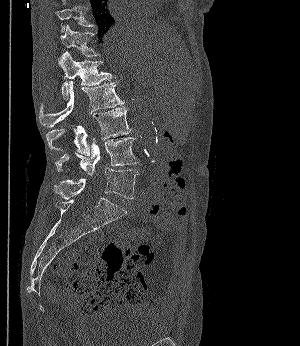
Spine computed tomography — sagittal view
Box edges are left/top/right/bottom in pixels. The labeled vertebrae in this slice are: L5 at left=54, top=167, right=139, bottom=199, L4 at left=54, top=137, right=139, bottom=175, L3 at left=46, top=106, right=131, bottom=155, L2 at left=39, top=81, right=124, bottom=127, L1 at left=58, top=52, right=112, bottom=99, T12 at left=60, top=24, right=99, bottom=56, T11 at left=55, top=6, right=93, bottom=32.